Spine CT; Sagittal slice 256/512; image width 200 mm
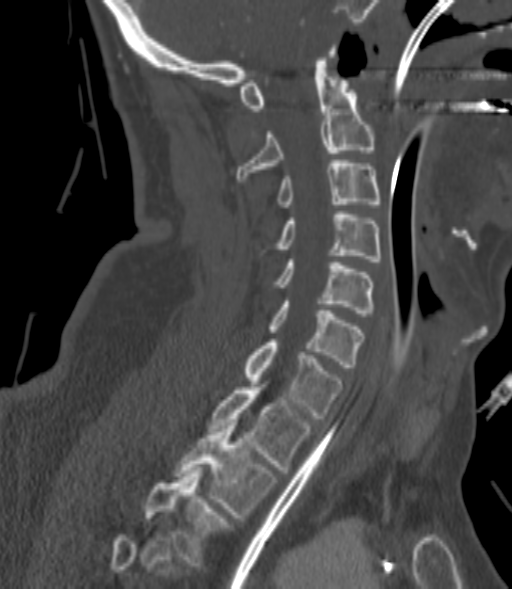

Each vertebra maps to its box as [x1, y1, x2, y2], the pixel coordinates of its top-left and bottom-right corners.
Each vertebra is boxed only on the slices from the first to the last where its cross-section reaches a third of its largest, so a slice outside that range leaves it unboxed.
{"vertebrae":{"C2":[236,48,374,181],"C3":[277,160,379,207],"C4":[275,211,381,261],"C5":[275,259,374,316],"C6":[270,301,363,367],"C7":[244,339,343,418],"T1":[208,387,310,473],"T2":[175,422,276,517],"T3":[144,470,230,565]}}